CT, spine; sagittal plane, index 263; 673x603 px
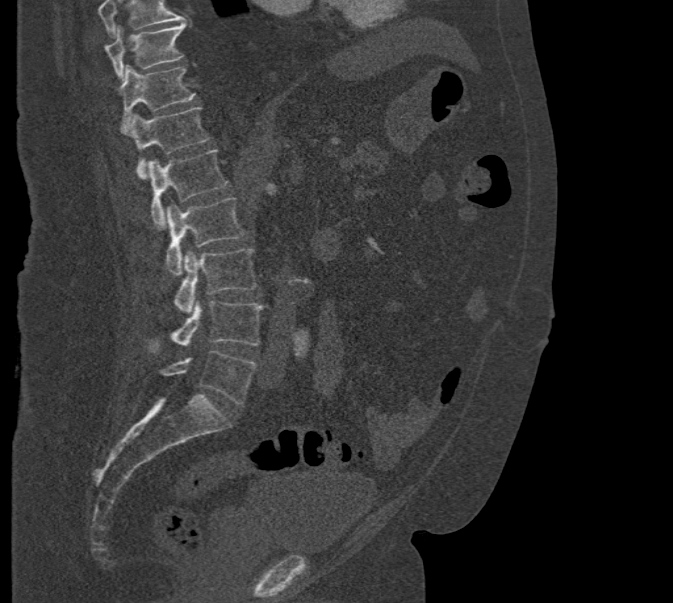 Each box is [x1, y1, x2, y2] in pixels: top-left corner, then bottom-right corner.
Where the top of the scan cuts through a vertebra, that vertebra gets no label or box.
{"vertebrae":{"T10":[104,22,186,82],"T11":[118,65,195,128],"T12":[121,108,209,178],"L1":[148,149,228,228],"L2":[166,198,245,277],"L3":[175,249,257,314],"L4":[150,300,263,351],"L5":[160,350,257,404]}}